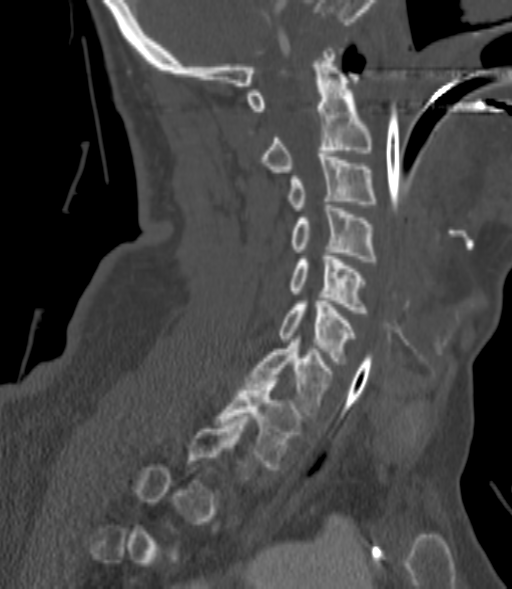

CT spine · image 200 mm wide · sagittal view · 512x589 px
Each box is [x1, y1, x2, y2] in pixels: top-left corner, then bottom-right corner.
A vertebra gets a box only on the slices from the first to the last where its cross-section is at least a third of its largest; on a slice outside that range it gets none.
{"vertebrae":{"C2":[262,48,371,172],"C3":[288,154,376,210],"C4":[290,205,376,261],"C5":[290,253,366,313],"C6":[280,301,356,364],"C7":[247,339,333,415],"T1":[216,378,302,469]}}